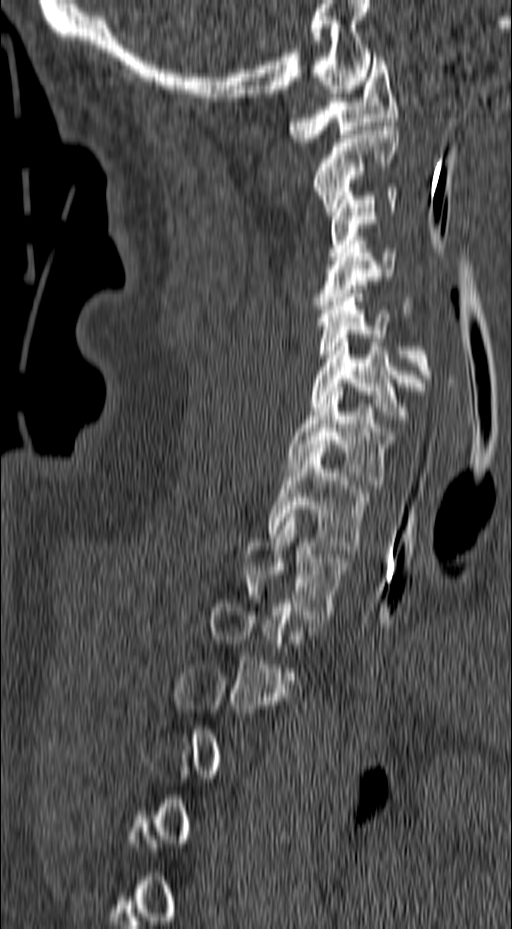

Spine computed tomography · sagittal view

A vertebra gets a box only on the slices from the first to the last where its cross-section is at least a third of its largest; on a slice outside that range it gets none.
<vertebrae><v name="C1" x1="288" y1="57" x2="398" y2="142"/><v name="C2" x1="314" y1="122" x2="398" y2="215"/><v name="C3" x1="327" y1="188" x2="398" y2="256"/><v name="C4" x1="314" y1="236" x2="414" y2="317"/><v name="C5" x1="316" y1="289" x2="432" y2="386"/><v name="C6" x1="311" y1="334" x2="425" y2="423"/><v name="C7" x1="288" y1="387" x2="398" y2="488"/><v name="T1" x1="268" y1="448" x2="365" y2="549"/><v name="T2" x1="242" y1="514" x2="346" y2="619"/></vertebrae>